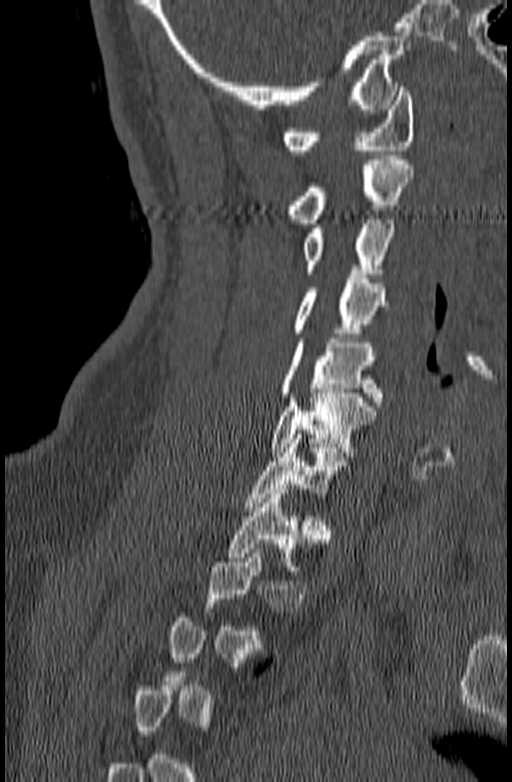

CT · sagittal view. Bounding boxes as [x1, y1, x2, y2] in pixel coordinates. Each vertebra is boxed only on the slices from the first to the last where its cross-section reaches a third of its largest, so a slice outside that range leaves it unboxed. The labeled vertebrae in this slice are: T1 at [226, 489, 300, 570], C7 at [244, 434, 352, 511], C6 at [270, 389, 376, 456], C5 at [279, 338, 381, 406], C4 at [290, 274, 388, 337], C3 at [301, 215, 395, 273], C2 at [287, 155, 414, 223], C1 at [283, 87, 414, 154].